Spine computed tomography; sagittal view; 103x157 px
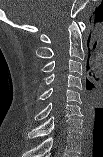

Bounding boxes as [x1, y1, x2, y2] in pixel coordinates.
In this scan, the topmost labeled vertebra is C1 and the lowest is C7.
Vertebra bounding boxes:
- C7: [27, 116, 83, 138]
- C6: [34, 103, 83, 120]
- C5: [38, 88, 81, 103]
- C4: [42, 74, 82, 89]
- C3: [41, 59, 82, 74]
- C2: [35, 21, 85, 60]
- C1: [40, 22, 85, 43]